Spine computed tomography — sagittal view — 500 mm image width — Bone window (WL 400, WW 1800)
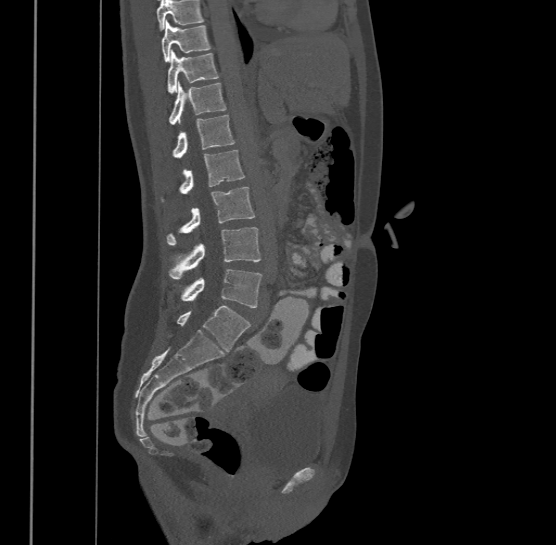
Box edges are left/top/right/bottom in pixels. No box is given to a vertebra that the top edge of the scan cuts off. Labels in this scan begin with T9 at the top and end with L4 at the bottom. The labeled vertebrae in this slice are: L4 at left=182, top=268, right=263, bottom=307, L3 at left=169, top=227, right=261, bottom=278, L2 at left=167, top=186, right=255, bottom=243, L1 at left=180, top=150, right=244, bottom=193, T12 at left=174, top=114, right=234, bottom=157, T11 at left=169, top=80, right=226, bottom=124, T10 at left=167, top=49, right=218, bottom=92, T9 at left=161, top=20, right=211, bottom=61.